Spine computed tomography — Sagittal slice 303/512 — W/L 1800/400 HU — 512x933 px — image width 140 mm — a region is masked with a constant gray value
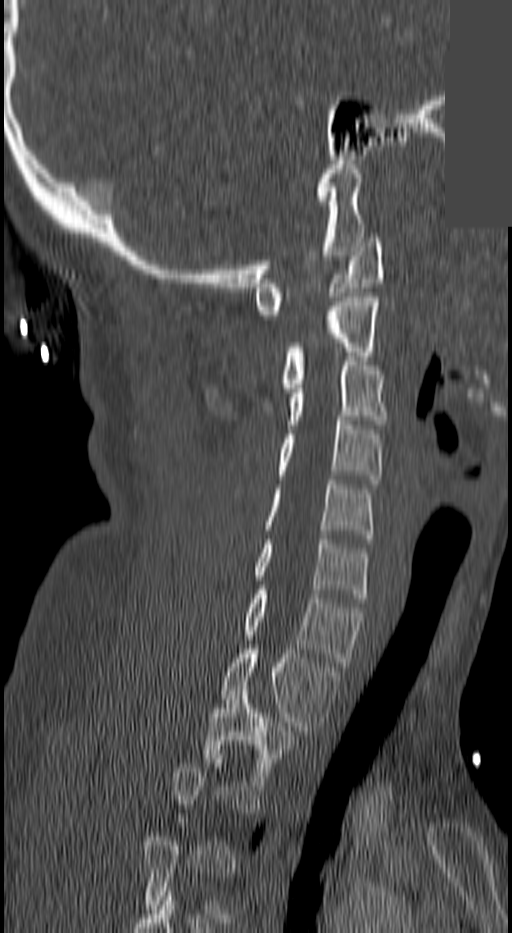

Boxes: x1:y1:x2:y2 in pixels.
A vertebra gets a box only on the slices from the first to the last where its cross-section is at least a third of its largest; on a slice outside that range it gets none.
Vertebra bounding boxes:
- C1: 254:238:384:319
- C2: 279:297:377:392
- C3: 286:361:388:429
- C4: 279:416:381:484
- C5: 265:480:373:538
- C6: 254:539:366:602
- C7: 246:590:362:666
- T1: 221:649:337:735
- T2: 206:690:294:785